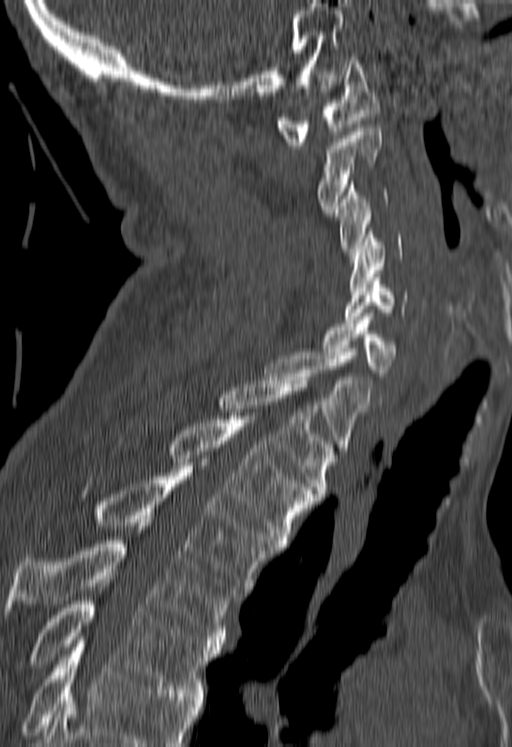
Spine CT; 180 mm across the image; sagittal view
Boxes are given in columns x1, y1, x2, y2, the pixel coordinates of their top-left and bottom-right corners.
No box is given to a vertebra that the bottom edge of the scan cuts off.
| vertebra | x1 | y1 | x2 | y2 |
|---|---|---|---|---|
| C1 | 276 | 57 | 381 | 145 |
| C2 | 319 | 128 | 381 | 212 |
| C3 | 336 | 181 | 387 | 255 |
| C4 | 348 | 231 | 401 | 291 |
| C5 | 345 | 277 | 407 | 323 |
| C6 | 322 | 316 | 396 | 376 |
| C7 | 265 | 352 | 371 | 451 |
| T1 | 220 | 377 | 336 | 497 |
| T2 | 169 | 416 | 316 | 547 |
| T3 | 98 | 469 | 276 | 596 |
| T4 | 6 | 523 | 236 | 643 |
| T5 | 27 | 601 | 222 | 696 |